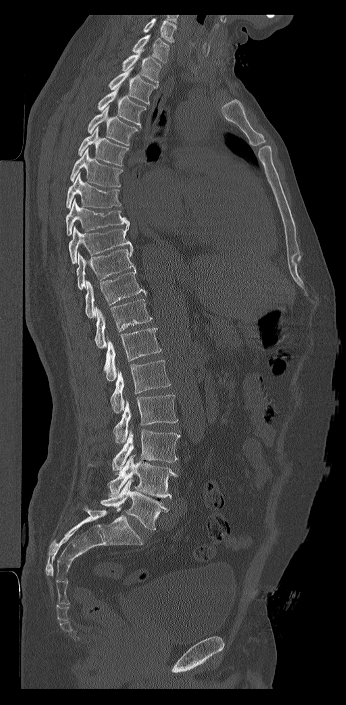 CT. sagittal reformat. W/L 1800/400 HU. 346x705 px. Coordinates as <box>x1,y1,x2,y2</box>. This scan's labels start at C7 at the top and end at L6 at the bottom. In these labels the spine has an L6, a sixth lumbar vertebra below L5. Vertebrae labeled: C7 at <box>131,34,169,63</box>, T1 at <box>121,49,161,84</box>, T2 at <box>108,67,157,104</box>, T3 at <box>97,86,146,127</box>, T4 at <box>87,106,138,145</box>, T5 at <box>78,126,128,166</box>, T6 at <box>70,148,122,187</box>, T7 at <box>66,173,121,208</box>, T8 at <box>66,199,129,235</box>, T9 at <box>68,226,132,264</box>, T10 at <box>76,247,135,290</box>, T11 at <box>85,270,146,318</box>, T12 at <box>94,299,152,348</box>, L1 at <box>103,328,161,380</box>, L2 at <box>110,360,171,413</box>, L3 at <box>113,395,178,443</box>, L4 at <box>112,429,180,474</box>, L5 at <box>107,455,178,498</box>, L6 at <box>100,480,169,530</box>.